Computed tomography of the spine · sagittal view · Bone window (WL 400, WW 1800) · 165 mm across the image · 512x780 px · scan covers 10 annotated vertebrae
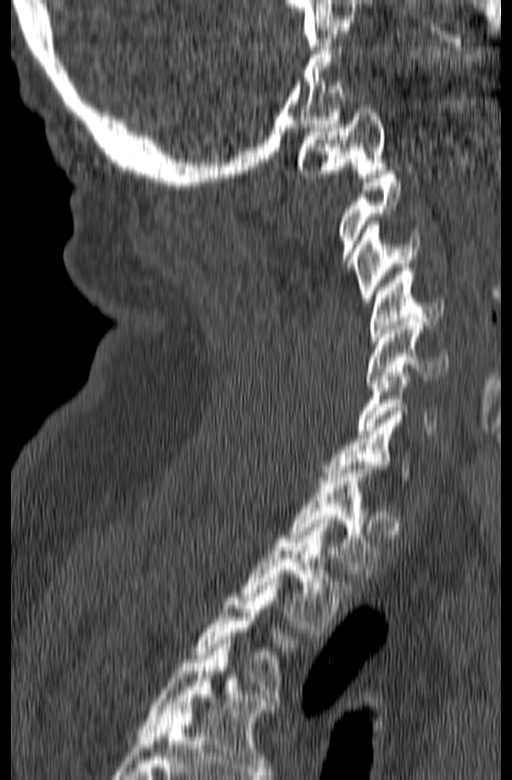 Each box given as x1,y1,x2,y2.
A vertebra gets a box only on the slices from the first to the last where its cross-section is at least a third of its largest; on a slice outside that range it gets none.
Labels in this scan begin with C1 at the top and end with T3 at the bottom.
| vertebra | x1 | y1 | x2 | y2 |
|---|---|---|---|---|
| T3 | 192 | 578 | 296 | 697 |
| T2 | 242 | 520 | 351 | 631 |
| T1 | 286 | 465 | 379 | 569 |
| C6 | 356 | 368 | 438 | 433 |
| C5 | 367 | 318 | 448 | 387 |
| C4 | 370 | 268 | 444 | 340 |
| C3 | 353 | 221 | 420 | 302 |
| C1 | 297 | 105 | 385 | 177 |